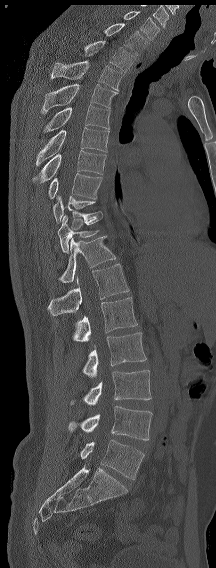 CT, spine — sagittal view — 216x568 px
Box edges are left/top/right/bottom in pixels.
The highest labeled vertebra in this scan is C7; the lowest is L6.
These labels give the spine a sixth lumbar vertebra, L6, below L5.
| vertebra | x1 | y1 | x2 | y2 |
|---|---|---|---|---|
| C7 | 123 | 11 | 159 | 39 |
| T1 | 103 | 23 | 147 | 55 |
| T2 | 84 | 41 | 133 | 72 |
| T3 | 51 | 61 | 124 | 90 |
| T4 | 40 | 84 | 118 | 114 |
| T5 | 43 | 105 | 110 | 132 |
| T6 | 35 | 127 | 109 | 166 |
| T7 | 33 | 150 | 106 | 183 |
| T8 | 48 | 173 | 102 | 199 |
| T9 | 53 | 195 | 100 | 223 |
| T11 | 57 | 213 | 102 | 253 |
| T12 | 58 | 236 | 115 | 283 |
| L1 | 48 | 263 | 129 | 315 |
| L2 | 73 | 297 | 137 | 342 |
| L3 | 82 | 332 | 146 | 377 |
| L4 | 70 | 370 | 151 | 405 |
| L5 | 68 | 406 | 152 | 440 |
| L6 | 80 | 439 | 144 | 479 |